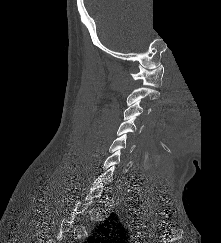

CT · sagittal view · bone-window reconstruction · an area of the scan was removed and filled with constant pixels
Boxes are given in columns x1, y1, x2, y2, the pixel coordinates of their top-left and bottom-right corners.
Each vertebra is boxed only on the slices from the first to the last where its cross-section reaches a third of its largest, so a slice outside that range leaves it unboxed.
| vertebra | x1 | y1 | x2 | y2 |
|---|---|---|---|---|
| C1 | 131 | 64 | 163 | 87 |
| C2 | 126 | 87 | 159 | 105 |
| C3 | 123 | 100 | 151 | 120 |
| C4 | 117 | 116 | 143 | 135 |
| C5 | 109 | 134 | 135 | 152 |
| C6 | 103 | 149 | 131 | 172 |
| C7 | 92 | 165 | 119 | 187 |